Spine computed tomography. sagittal plane, index 207. Bone window (WL 400, WW 1800). 512x1305 px. part of the image is a flat gray fill, not anatomy
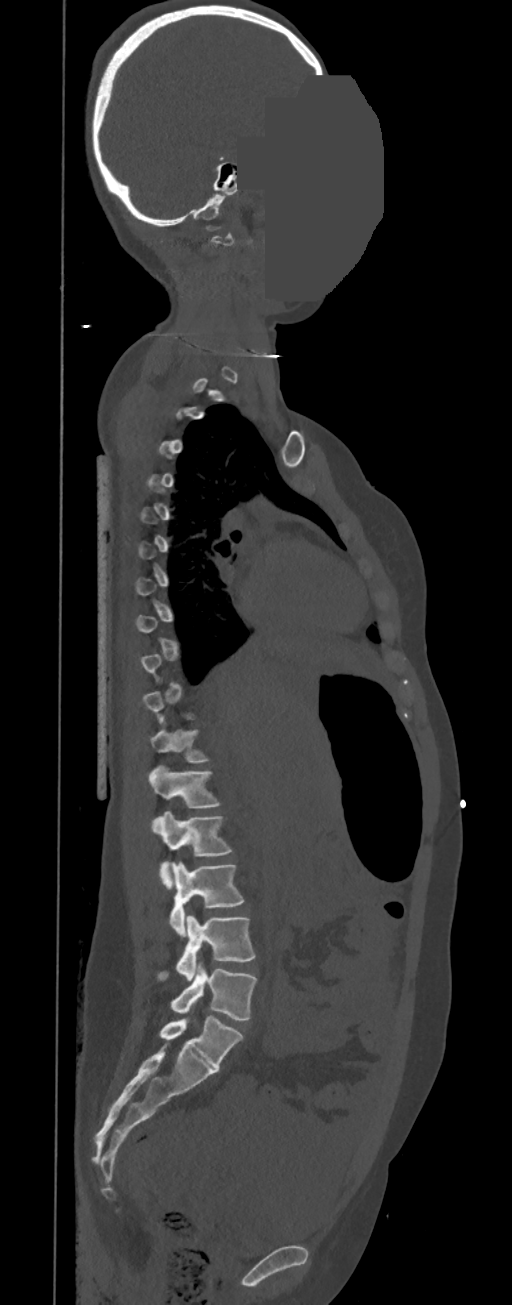
Boxes below are [x1, y1, x2, y2] in pixels.
A vertebra is boxed only from the first to the last slice where its cross-section is at least a third of its largest; slices outside that range leave it without a box.
In these labels the thoracic vertebrae end at T11, so L1 follows T11.
{"vertebrae":{"L5":[171,962,256,1019],"L4":[156,915,255,980],"L3":[169,861,243,936],"L2":[152,811,231,889],"L1":[148,766,220,807],"T11":[149,729,208,763]}}